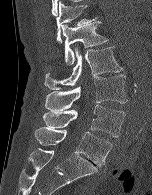

Computed tomography of the spine; sagittal view; 152x195 px
Boxes are given in columns x1, y1, x2, y2, the pixel coordinates of their top-left and bottom-right corners.
| vertebra | x1 | y1 | x2 | y2 |
|---|---|---|---|---|
| T12 | 56 | 1 | 97 | 43 |
| L1 | 61 | 21 | 108 | 65 |
| L2 | 44 | 47 | 123 | 89 |
| L3 | 45 | 74 | 127 | 111 |
| L4 | 43 | 105 | 125 | 137 |
| L5 | 34 | 127 | 112 | 166 |